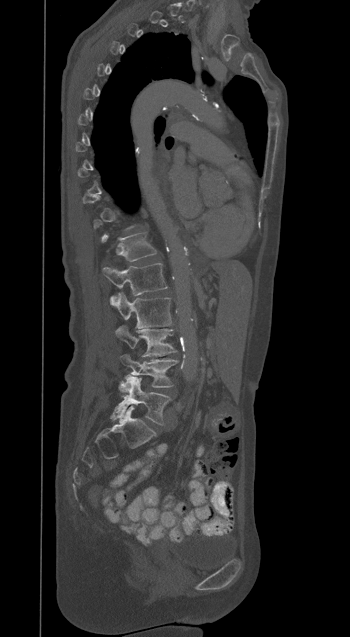

CT spine; sagittal view; W/L 1800/400 HU
Boxes below are [x1, y1, x2, y2] in pixels.
Each vertebra is boxed only on the slices from the first to the last where its cross-section reaches a third of its largest, so a slice outside that range leaves it unboxed.
{"vertebrae":{"T12":[102,233,156,261],"L1":[103,263,167,305],"L2":[110,292,172,328],"L3":[115,326,176,355],"L4":[120,354,177,387],"L5":[111,376,171,424]}}